Computed tomography of the spine; Sagittal slice 255/512
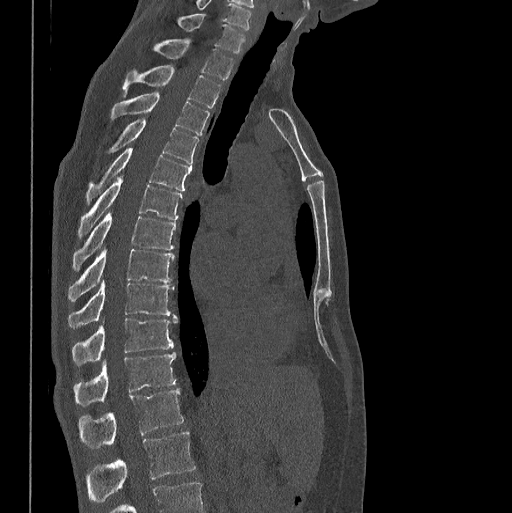

Box edges are left/top/right/bottom in pixels.
Labels in this scan begin with C7 at the top and end with L1 at the bottom.
C7: left=177, top=14, right=245, bottom=52
T1: left=154, top=39, right=233, bottom=80
T2: left=122, top=65, right=220, bottom=108
T3: left=110, top=93, right=209, bottom=134
T4: left=109, top=118, right=198, bottom=165
T5: left=86, top=147, right=192, bottom=203
T6: left=78, top=176, right=182, bottom=238
T7: left=73, top=212, right=175, bottom=270
T8: left=68, top=247, right=174, bottom=301
T9: left=68, top=280, right=174, bottom=328
T10: left=72, top=318, right=176, bottom=364
T11: left=73, top=352, right=175, bottom=405
T12: left=78, top=388, right=183, bottom=447
L1: left=86, top=432, right=196, bottom=501